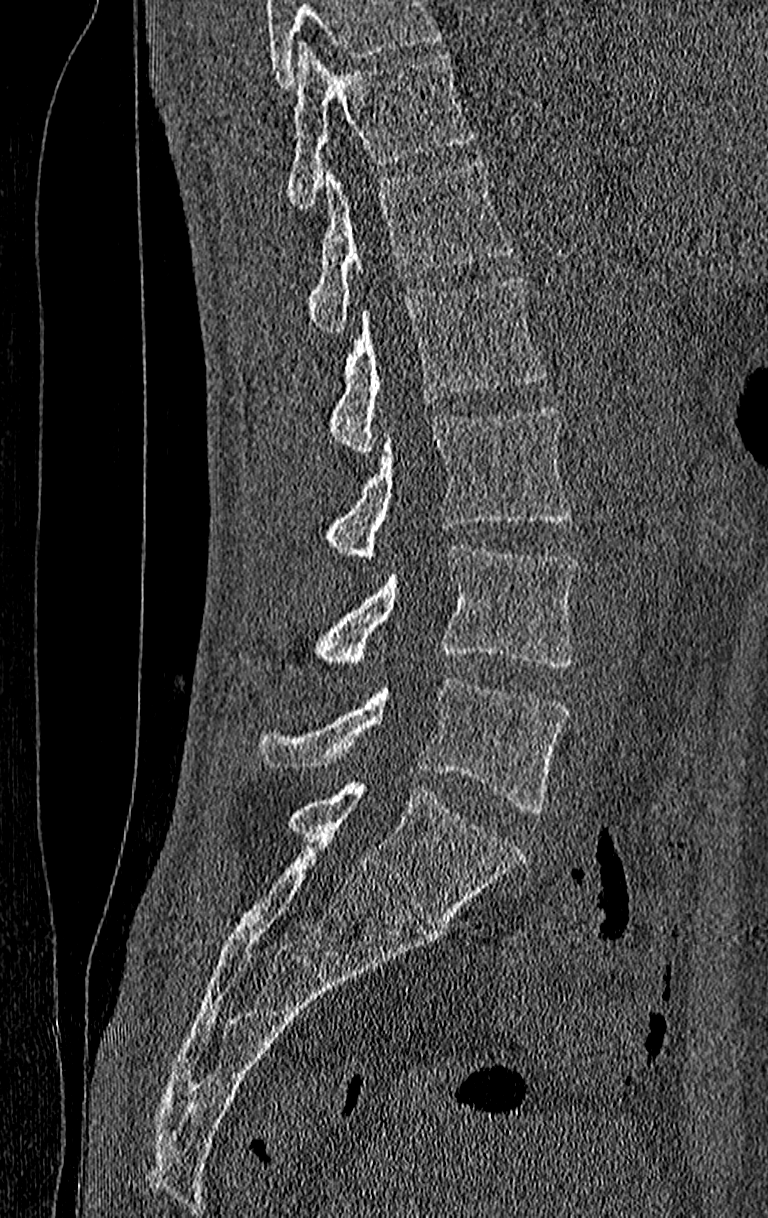 Computed tomography of the spine — sagittal view — bone-window reconstruction
Boxes: x1:y1:x2:y2 in pixels.
No box is given to a vertebra that the top edge of the scan cuts off.
The highest labeled vertebra in this scan is T11; the lowest is L4.
Vertebra bounding boxes:
- L4: 255:678:568:812
- L3: 284:546:575:680
- L2: 324:406:572:560
- L1: 328:275:546:453
- T12: 306:161:517:333
- T11: 284:44:473:208